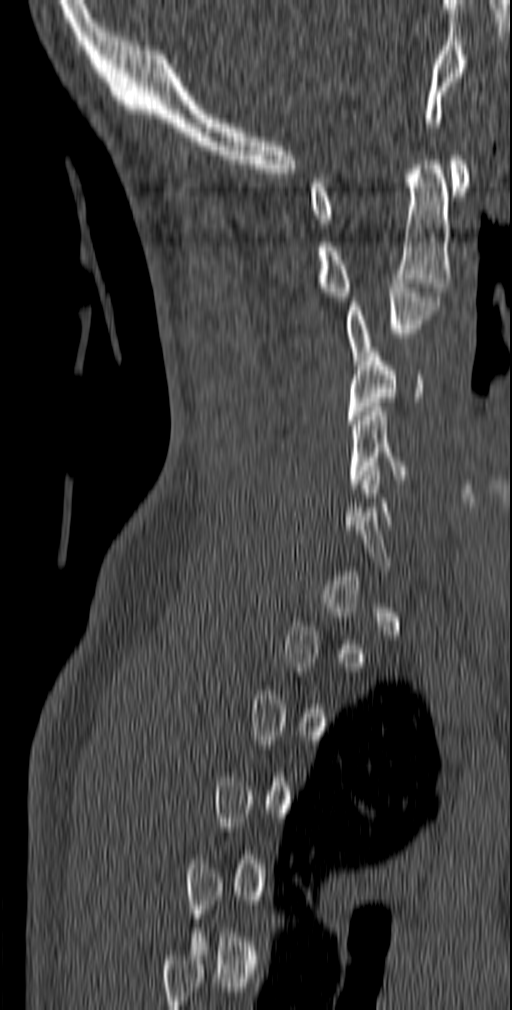
Spine CT; sagittal view; Bone window (WL 400, WW 1800)

Boxes: x1:y1:x2:y2 in pixels.
Not every vertebra on this slice has a box: a vertebra is boxed only from the first to the last slice where its cross-section is at least a third of its largest, and this slice is outside that range for at least one of them.
C5: 348:407:414:488
C4: 346:347:423:424
C3: 345:283:439:365
C2: 316:155:451:301
C1: 309:155:470:223